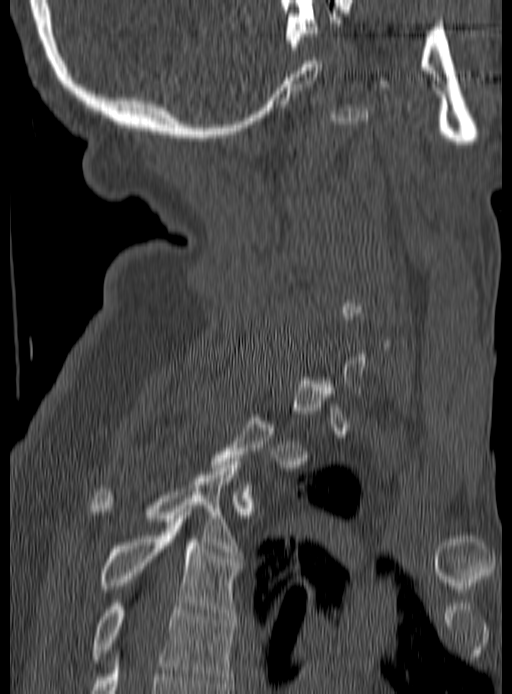
Spine computed tomography · sagittal view · Bone window (WL 400, WW 1800) · 512x694 px. Boxes: x1:y1:x2:y2 in pixels.
A vertebra is boxed only from the first to the last slice where its cross-section is at least a third of its largest; slices outside that range leave it without a box.
Vertebra bounding boxes:
- T5: 92:603:234:686
- T4: 98:519:240:615
- T3: 92:461:237:555